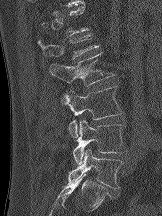

Spine computed tomography; sagittal view; bone window; 162x216 px
Each box given as x1,y1,x2,y2.
A vertebra is boxed only from the first to the last slice where its cross-section is at least a third of its largest; slices outside that range leave it without a box.
| vertebra | x1 | y1 | x2 | y2 |
|---|---|---|---|---|
| L5 | 68 | 149 | 123 | 188 |
| L4 | 73 | 120 | 126 | 164 |
| L3 | 64 | 86 | 124 | 137 |
| L2 | 48 | 52 | 114 | 104 |
| L1 | 37 | 33 | 99 | 59 |